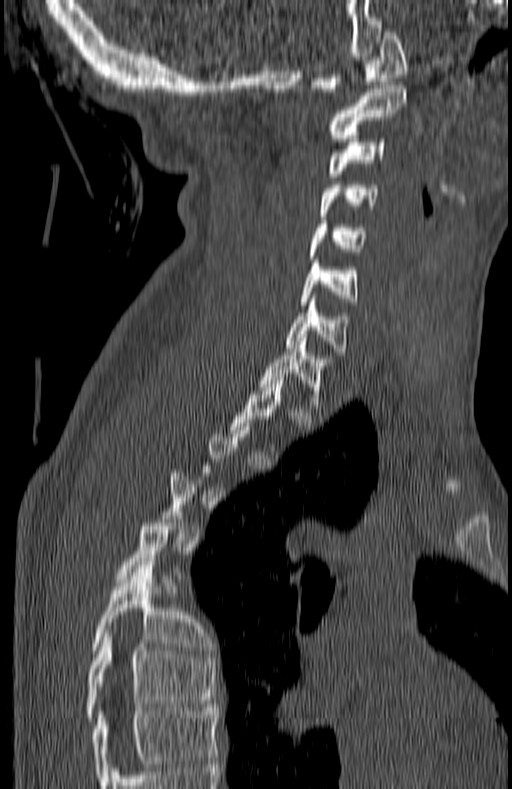

Computed tomography of the spine — sagittal view — 180 mm image width — bone window
Boxes: x1:y1:x2:y2 in pixels.
A vertebra is boxed only from the first to the last slice where its cross-section is at least a third of its largest; slices outside that range leave it without a box.
In this scan, the topmost labeled vertebra is C1 and the lowest is T7.
C1: 311:28:407:91
C2: 328:85:407:141
C3: 328:139:384:177
C4: 319:181:378:216
C5: 308:220:367:259
C6: 300:260:358:305
C7: 285:302:347:355
T1: 260:334:331:411
T6: 92:562:208:653
T7: 86:629:217:721